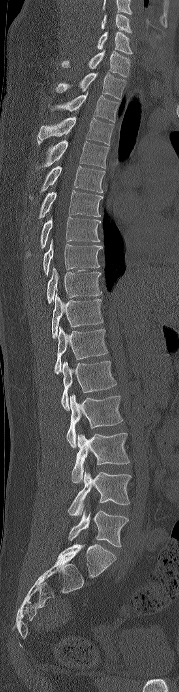 Spine computed tomography · sagittal view · bone-window reconstruction
Each box given as x1,y1,x2,y2. Labels in this scan begin with C6 at the top and end with L5 at the bottom. 19 vertebrae labeled — C6 at x1=101, y1=14, x2=132, y2=33; C7 at x1=96, y1=31, x2=132, y2=54; T1 at x1=61, y1=50, x2=130, y2=77; T2 at x1=56, y1=73, x2=125, y2=99; T3 at x1=48, y1=92, x2=118, y2=122; T4 at x1=37, y1=117, x2=113, y2=145; T5 at x1=35, y1=140, x2=109, y2=170; T6 at x1=29, y1=166, x2=104, y2=199; T7 at x1=38, y1=190, x2=101, y2=218; T8 at x1=26, y1=217, x2=99, y2=256; T9 at x1=43, y1=239, x2=104, y2=274; T10 at x1=46, y1=267, x2=102, y2=303; T11 at x1=52, y1=293, x2=103, y2=339; T12 at x1=54, y1=326, x2=108, y2=374; L1 at x1=61, y1=361, x2=116, y2=410; L2 at x1=66, y1=394, x2=123, y2=447; L3 at x1=71, y1=432, x2=129, y2=482; L4 at x1=68, y1=471, x2=131, y2=515; L5 at x1=68, y1=510, x2=128, y2=547.